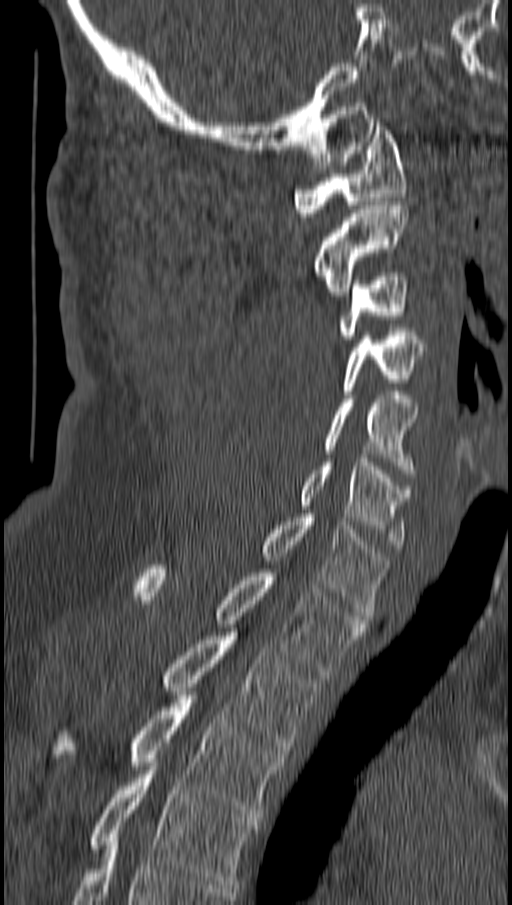

CT spine — sagittal view. Coordinates as <box>x1,y1,x2,y2</box>. Vertebrae labeled: C1 at <box>295,122,405,216</box>, C2 at <box>314,201,408,295</box>, C3 at <box>339,273,408,343</box>, C4 at <box>342,328,425,394</box>, C5 at <box>323,395,416,477</box>, C6 at <box>301,458,411,548</box>, C7 at <box>263,514,389,619</box>, T1 at <box>136,565,364,675</box>, T2 at <box>162,632,319,754</box>, T3 at <box>55,691,285,817</box>, T4 at <box>90,762,256,888</box>.